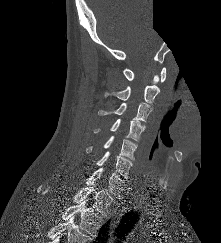

Spine computed tomography · sagittal view · image width 221 mm · part of the scan has been removed (filled with constant black)
Coordinates as <box>x1,y1,x2,y2</box>. 9 vertebrae labeled — C1 at <box>123,67,166,83</box>; C2 at <box>104,85,159,102</box>; C3 at <box>98,102,151,122</box>; C4 at <box>93,119,145,142</box>; C5 at <box>86,136,137,160</box>; C6 at <box>96,151,132,178</box>; C7 at <box>85,168,124,198</box>; T1 at <box>42,186,113,215</box>; T2 at <box>61,199,103,237</box>.